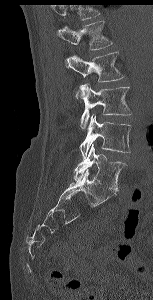
Computed tomography of the spine · sagittal view · bone window · image 153 mm wide
Each box given as x1,y1,x2,y2. Vertebrae that run past the top of the scan are left unlabeled. Vertebrae labeled: L1 at x1=57, y1=20, x2=112, y2=50, L2 at x1=65, y1=51, x2=124, y2=82, L3 at x1=79, y1=84, x2=131, y2=129, L4 at x1=79, y1=113, x2=131, y2=158, L5 at x1=74, y1=144, x2=125, y2=191.